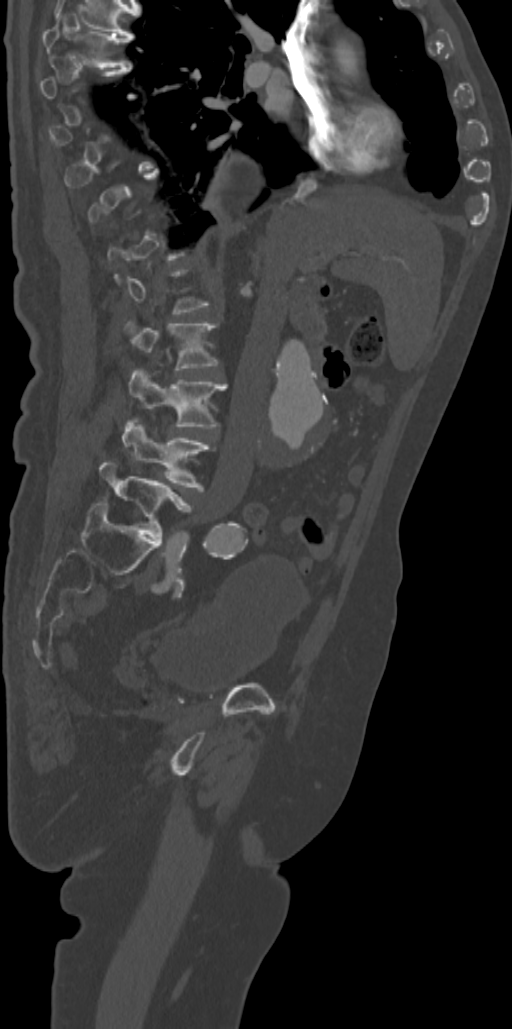

CT spine · sagittal view · bone window
Each vertebra maps to its box as [x1, y1, x2, y2], the pixel coordinates of its top-left and bottom-right corners.
A vertebra is boxed only from the first to the last slice where its cross-section is at least a third of its largest; slices outside that range leave it without a box.
{"vertebrae":{"T7":[42,13,132,66],"L2":[127,321,217,370],"L3":[129,368,226,426],"L4":[123,422,208,489],"L5":[100,463,190,538]}}